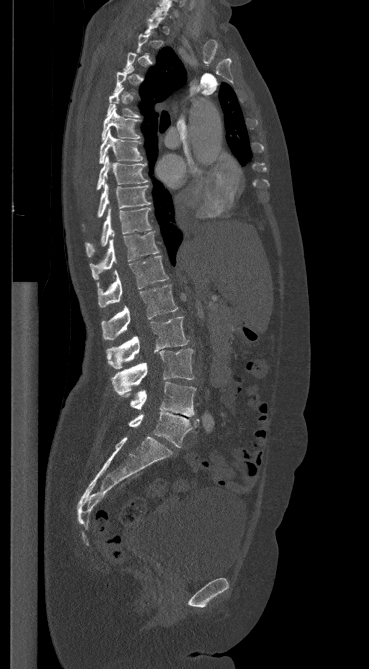

CT, spine. image 369 mm wide. sagittal view. Bone window (WL 400, WW 1800)

A vertebra is boxed only from the first to the last slice where its cross-section is at least a third of its largest; slices outside that range leave it without a box.
<vertebrae><v name="C7" x1="152" y1="1" x2="171" y2="18"/><v name="T5" x1="107" y1="87" x2="139" y2="117"/><v name="T6" x1="101" y1="108" x2="140" y2="140"/><v name="T7" x1="99" y1="131" x2="142" y2="163"/><v name="T8" x1="97" y1="156" x2="147" y2="189"/><v name="T9" x1="97" y1="183" x2="150" y2="217"/><v name="T10" x1="85" y1="208" x2="151" y2="256"/><v name="T11" x1="90" y1="232" x2="159" y2="279"/><v name="T12" x1="97" y1="256" x2="168" y2="307"/><v name="L1" x1="101" y1="285" x2="178" y2="340"/><v name="L2" x1="106" y1="317" x2="188" y2="369"/><v name="L3" x1="111" y1="349" x2="193" y2="394"/><v name="L4" x1="125" y1="382" x2="195" y2="416"/><v name="L5" x1="129" y1="411" x2="199" y2="447"/></vertebrae>